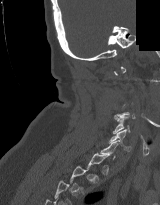 Spine CT — sagittal view — some of the image was removed or blocked out with constant pixels

Boxes: x1 y1 x2 y2 (pixel coords, space-separated). A vertebra is boxed only from the first to the last slice where its cross-section is at least a third of its largest; slices outside that range leave it without a box. Vertebrae labeled: C6 at 109 129 131 151, C5 at 113 117 130 133.